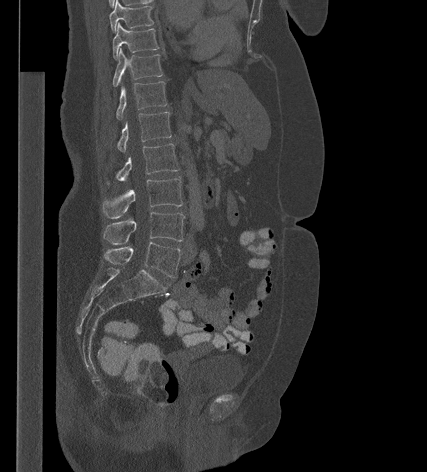
CT. sagittal view. bone-window reconstruction. 427x472 px
<vertebrae><v name="T9" x1="109" y1="0" x2="153" y2="32"/><v name="T10" x1="112" y1="23" x2="158" y2="58"/><v name="T11" x1="112" y1="49" x2="162" y2="87"/><v name="T12" x1="116" y1="81" x2="167" y2="119"/><v name="L1" x1="117" y1="112" x2="171" y2="151"/><v name="L2" x1="107" y1="143" x2="179" y2="184"/><v name="L3" x1="102" y1="178" x2="182" y2="218"/><v name="L4" x1="103" y1="212" x2="184" y2="244"/><v name="L5" x1="104" y1="242" x2="180" y2="277"/></vertebrae>